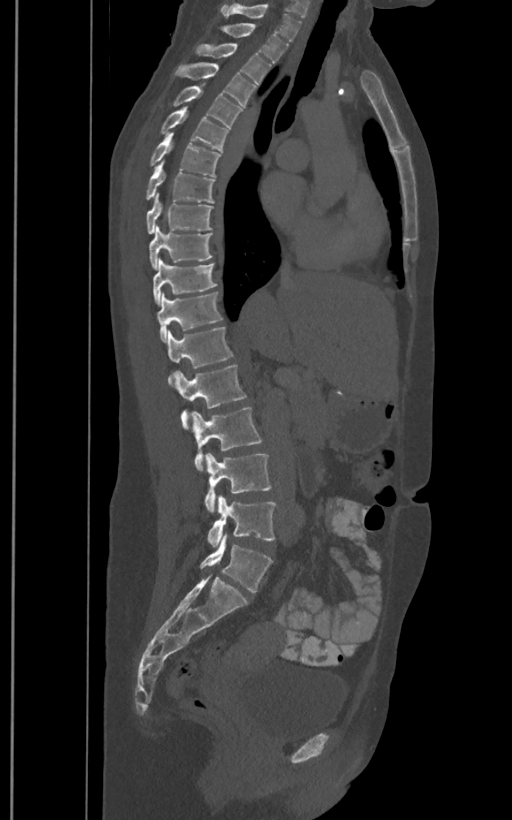
CT · sagittal view · Bone window (WL 400, WW 1800) · 512x820 px

Boxes: x1 y1 x2 y2 (pixel coords, space-separated). The labels name a sixth lumbar vertebra for this spine: L6, after L5. Vertebrae labeled: T1 at 220 3 301 42, T2 at 221 23 288 62, T3 at 194 44 270 84, T4 at 174 62 256 106, T5 at 173 85 242 127, T6 at 160 106 229 151, T7 at 150 132 220 176, T8 at 146 161 215 203, T9 at 146 194 214 233, T10 at 148 225 213 269, T11 at 152 258 216 304, T12 at 157 291 223 341, L1 at 166 326 233 383, L2 at 174 365 246 429, L3 at 191 407 263 471, L4 at 205 453 271 512, L5 at 207 495 275 546, L6 at 200 533 273 592.